Spine computed tomography — sagittal view — bone window — 289x289 px — 289 mm image width — scan covers 12 annotated vertebrae
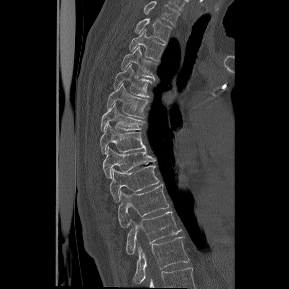
Each box given as x1,y1,x2,y2.
Labels in this scan begin with T1 at the top and end with T12 at the bottom.
| vertebra | x1 | y1 | x2 | y2 |
|---|---|---|---|---|
| T1 | 134 | 18 | 171 | 42 |
| T2 | 129 | 29 | 165 | 60 |
| T3 | 121 | 46 | 157 | 79 |
| T4 | 113 | 64 | 152 | 97 |
| T5 | 107 | 83 | 150 | 118 |
| T6 | 101 | 103 | 146 | 131 |
| T7 | 100 | 123 | 146 | 153 |
| T8 | 102 | 147 | 156 | 178 |
| T9 | 110 | 165 | 160 | 202 |
| T10 | 118 | 184 | 169 | 227 |
| T11 | 126 | 211 | 181 | 254 |
| T12 | 133 | 237 | 189 | 284 |